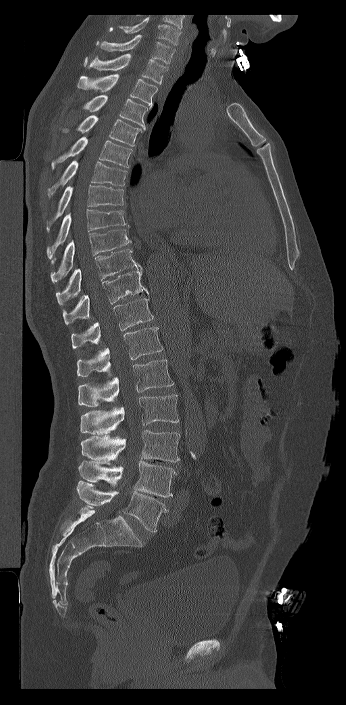
CT; sagittal view; 346x705 px

In this scan, the topmost labeled vertebra is C7 and the lowest is L6.
These labels give the spine a sixth lumbar vertebra, L6, below L5.
<vertebrae><v name="C7" x1="96" y1="34" x2="174" y2="64"/><v name="T1" x1="84" y1="53" x2="166" y2="84"/><v name="T2" x1="77" y1="74" x2="157" y2="107"/><v name="T3" x1="83" y1="94" x2="151" y2="129"/><v name="T4" x1="59" y1="115" x2="144" y2="146"/><v name="T5" x1="51" y1="136" x2="132" y2="169"/><v name="T6" x1="47" y1="160" x2="127" y2="199"/><v name="T7" x1="46" y1="185" x2="123" y2="231"/><v name="T8" x1="46" y1="209" x2="130" y2="263"/><v name="T9" x1="50" y1="229" x2="131" y2="283"/><v name="T10" x1="56" y1="248" x2="141" y2="305"/><v name="T11" x1="63" y1="268" x2="148" y2="324"/><v name="T12" x1="71" y1="298" x2="153" y2="348"/><v name="L1" x1="77" y1="327" x2="163" y2="376"/><v name="L2" x1="78" y1="359" x2="173" y2="407"/><v name="L3" x1="80" y1="394" x2="179" y2="434"/><v name="L4" x1="80" y1="430" x2="180" y2="462"/><v name="L5" x1="78" y1="460" x2="176" y2="497"/><v name="L6" x1="77" y1="480" x2="168" y2="532"/></vertebrae>